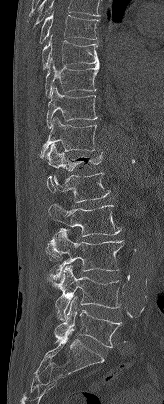 Spine CT; sagittal reformat
Box edges are left/top/right/bottom in pixels.
In this scan, the topmost labeled vertebra is T7 and the lowest is L5.
| vertebra | x1 | y1 | x2 | y2 |
|---|---|---|---|---|
| T7 | 39 | 11 | 99 | 43 |
| T8 | 42 | 35 | 99 | 69 |
| T9 | 45 | 58 | 99 | 97 |
| T10 | 46 | 87 | 98 | 128 |
| T11 | 40 | 117 | 100 | 158 |
| T12 | 43 | 144 | 104 | 171 |
| L1 | 46 | 172 | 110 | 202 |
| L2 | 46 | 203 | 121 | 261 |
| L3 | 49 | 229 | 124 | 281 |
| L4 | 54 | 265 | 120 | 320 |
| L5 | 54 | 297 | 122 | 347 |